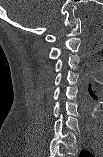

Spine computed tomography; sagittal view; 103x157 px
Boxes: x1 y1 x2 y2 (pixel coords, space-separated).
This scan's labels start at C1 at the top and end at C7 at the bottom.
Vertebra bounding boxes:
- C1: 45 18 80 41
- C2: 49 38 80 58
- C3: 55 54 79 71
- C4: 55 70 78 85
- C5: 53 86 77 99
- C6: 52 101 79 116
- C7: 53 114 79 136